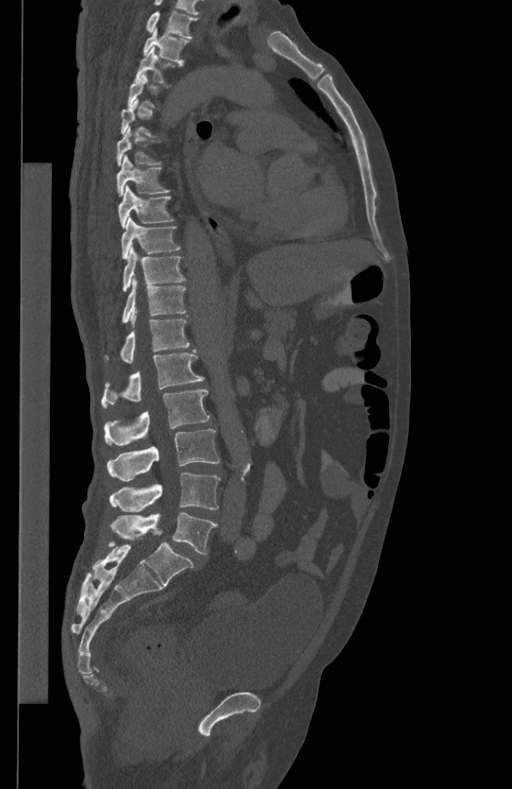
Spine CT — sagittal view — 434 mm image width
Each box given as x1,y1,x2,y2.
Not every vertebra on this slice has a box: a vertebra is boxed only from the first to the last slice where its cross-section is at least a third of its largest, and this slice is outside that range for at least one of them.
The highest labeled vertebra in this scan is T1; the lowest is L5.
| vertebra | x1 | y1 | x2 | y2 |
|---|---|---|---|---|
| T1 | 145 | 12 | 199 | 38 |
| T2 | 143 | 29 | 189 | 63 |
| T3 | 134 | 47 | 182 | 84 |
| T6 | 117 | 127 | 162 | 166 |
| T7 | 117 | 154 | 170 | 195 |
| T8 | 118 | 185 | 175 | 227 |
| T9 | 121 | 217 | 181 | 258 |
| T10 | 121 | 247 | 186 | 291 |
| T11 | 121 | 279 | 186 | 323 |
| T12 | 104 | 316 | 190 | 363 |
| L1 | 101 | 349 | 204 | 407 |
| L2 | 104 | 389 | 209 | 446 |
| L3 | 107 | 429 | 220 | 481 |
| L4 | 110 | 472 | 220 | 512 |
| L5 | 110 | 513 | 217 | 553 |